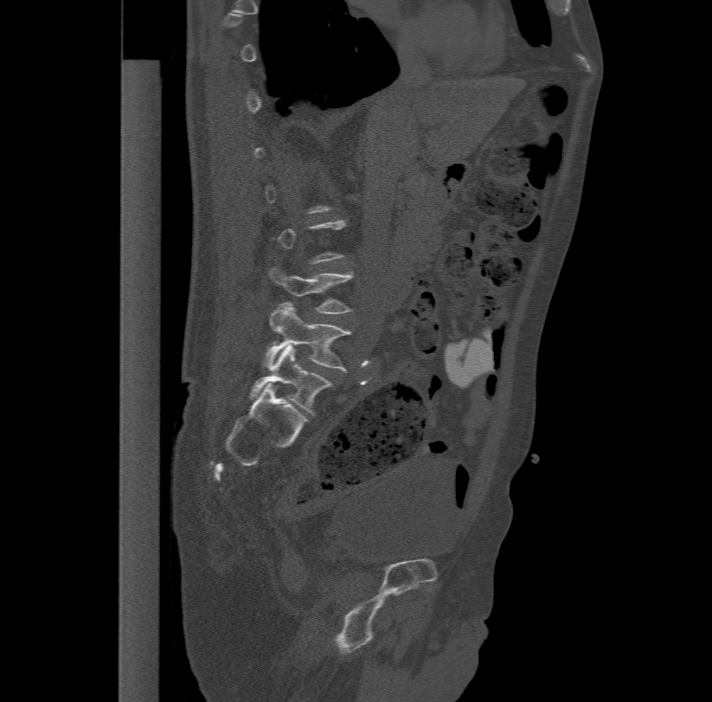 Spine computed tomography · sagittal view

Boxes below are [x1, y1, x2, y2] in pixels.
A vertebra is boxed only from the first to the last slice where its cross-section is at least a third of its largest; slices outside that range leave it without a box.
In these labels the spine has an L6, a sixth lumbar vertebra below L5.
{"vertebrae":{"L4":[270,267,352,312],"L5":[263,303,351,370],"L6":[250,344,331,415]}}